CT, spine · sagittal view
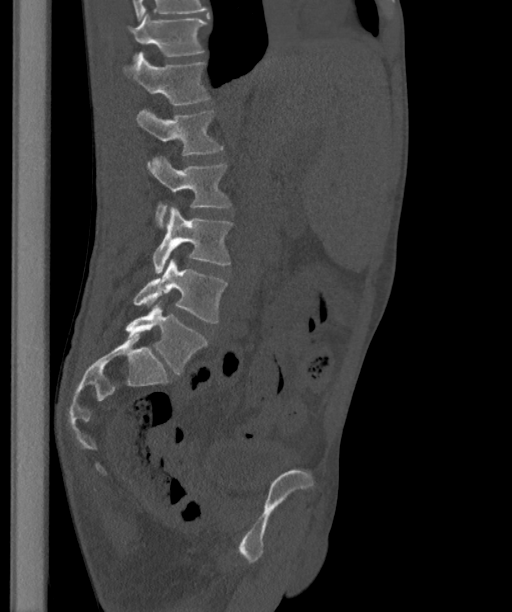
Box values are [left, top, right, bottom] in pixels.
These labels give the spine a sixth lumbar vertebra, L6, below L5.
{"vertebrae":{"T12":[127,14,206,57],"L1":[123,52,210,104],"L2":[137,108,223,168],"L3":[151,156,232,227],"L4":[152,207,233,273],"L5":[132,259,227,323],"L6":[125,301,208,373]}}